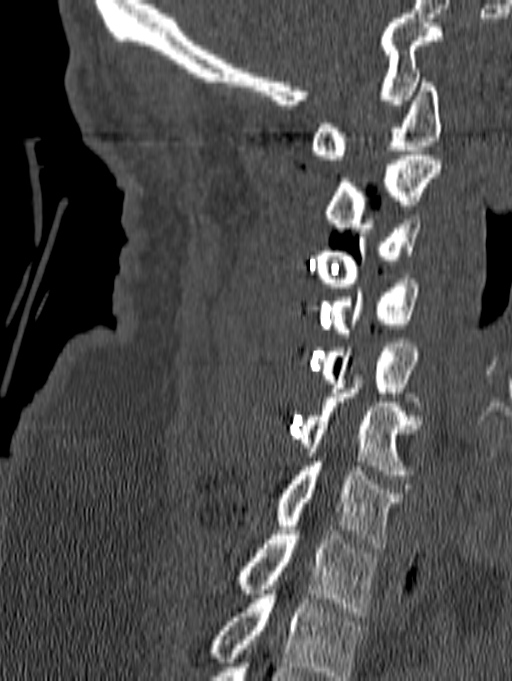

Spine CT · 140 mm wide · sagittal view · 512x681 px
Boxes are (x1, y1, x2, y2) in pixels. Labels in this scan begin with C1 at the top and end with T1 at the bottom. The labeled vertebrae in this slice are: T1 at (235, 530, 377, 616), C7 at (276, 457, 403, 548), C6 at (298, 379, 422, 479), C5 at (320, 343, 418, 401), C4 at (331, 279, 420, 337), C3 at (315, 215, 420, 287), C2 at (325, 155, 442, 232), C1 at (310, 78, 441, 159).